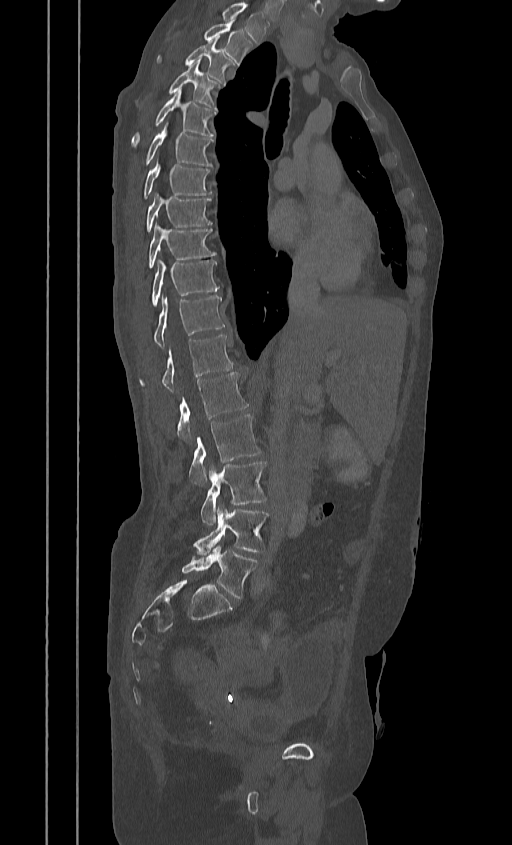

Spine computed tomography. sagittal view. bone window

The highest labeled vertebra in this scan is T2; the lowest is L5.
<vertebrae><v name="T2" x1="204" y1="20" x2="252" y2="64"/><v name="T3" x1="157" y1="37" x2="233" y2="83"/><v name="T4" x1="141" y1="60" x2="220" y2="108"/><v name="T5" x1="132" y1="89" x2="216" y2="146"/><v name="T6" x1="145" y1="124" x2="213" y2="166"/><v name="T7" x1="144" y1="157" x2="211" y2="198"/><v name="T8" x1="146" y1="192" x2="212" y2="231"/><v name="T9" x1="149" y1="223" x2="215" y2="267"/><v name="T10" x1="152" y1="259" x2="219" y2="306"/><v name="T11" x1="153" y1="296" x2="224" y2="347"/><v name="T12" x1="140" y1="335" x2="232" y2="392"/><v name="L1" x1="177" y1="372" x2="248" y2="442"/><v name="L2" x1="189" y1="415" x2="261" y2="486"/><v name="L3" x1="200" y1="461" x2="267" y2="524"/><v name="L4" x1="194" y1="505" x2="268" y2="556"/><v name="L5" x1="181" y1="545" x2="257" y2="598"/></vertebrae>